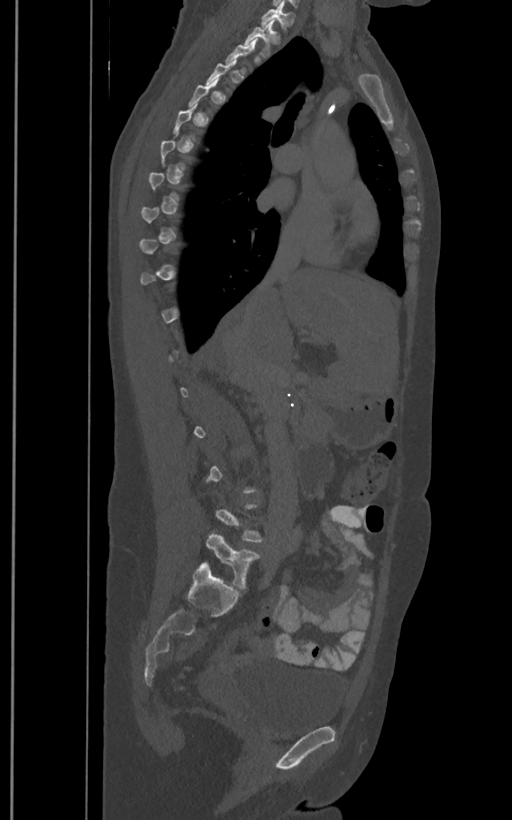
CT — sagittal view

Bounding boxes as [x1, y1, x2, y2] in pixel coordinates. A vertebra gets a box only on the slices from the first to the last where its cross-section is at least a third of its largest; on a slice outside that range it gets none. These labels give the spine a sixth lumbar vertebra, L6, below L5. The labeled vertebrae in this slice are: T1 at [261, 6, 293, 28], T2 at [244, 18, 279, 57], L6 at [206, 533, 260, 588].